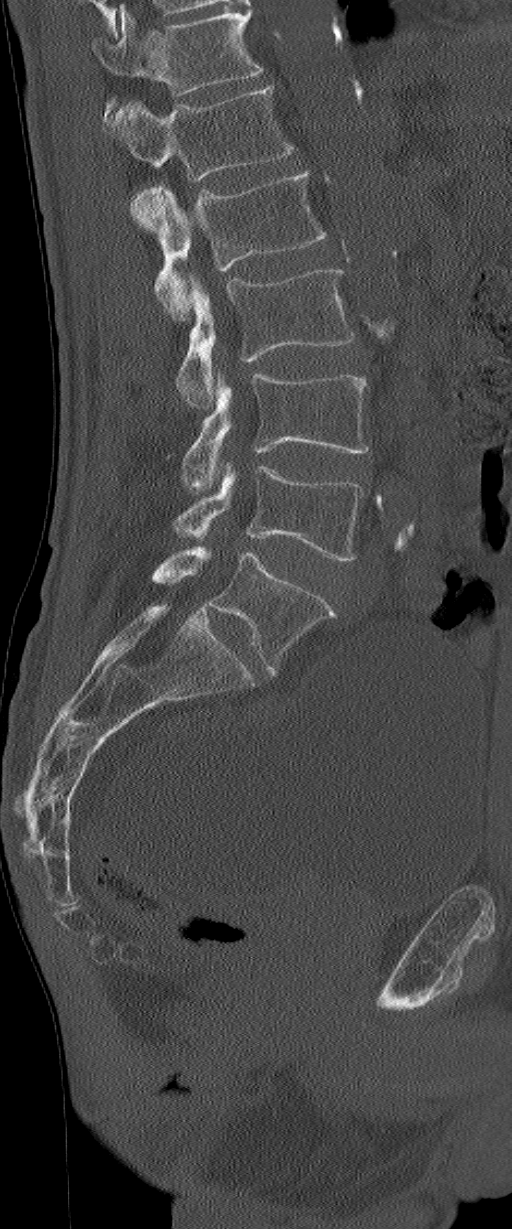 Spine computed tomography. sagittal view. 512x1229 px
Each vertebra maps to its box as [x1, y1, x2, y2], the pixel coordinates of its top-left and bottom-right corners.
Labels in this scan begin with L1 at the top and end with L6 at the bottom.
The labels name a sixth lumbar vertebra for this spine: L6, after L5.
{"vertebrae":{"L6":[153,547,336,672],"L5":[174,463,362,562],"L4":[182,374,367,491],"L3":[177,269,354,409],"L2":[129,172,325,320],"L1":[101,87,294,181]}}